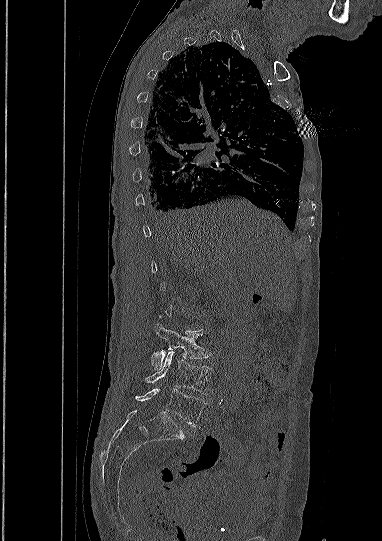 CT spine; sagittal view; bone window. Boxes: x1 y1 x2 y2 (pixel coords, space-separated). Not every vertebra on this slice has a box: a vertebra is boxed only from the first to the last slice where its cross-section is at least a third of its largest, and this slice is outside that range for at least one of them. Vertebrae labeled: L5 at 136 388 205 426, L4 at 146 351 213 394, L3 at 151 326 209 369.